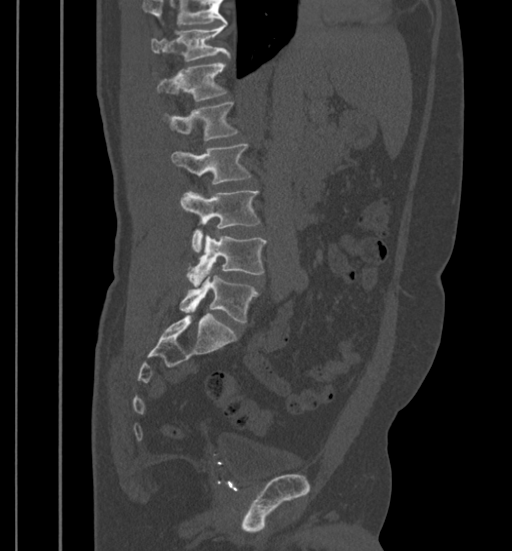

CT — sagittal view — W/L 1800/400 HU
Boxes are given in columns x1, y1, x2, y2, the pixel coordinates of their top-left and bottom-right corners.
Where the top of the scan cuts through a vertebra, that vertebra gets no label or box.
| vertebra | x1 | y1 | x2 | y2 |
|---|---|---|---|---|
| T11 | 150 | 25 | 229 | 61 |
| T12 | 156 | 63 | 226 | 102 |
| L1 | 163 | 101 | 238 | 140 |
| L2 | 171 | 144 | 252 | 184 |
| L3 | 181 | 191 | 261 | 252 |
| L4 | 187 | 234 | 266 | 286 |
| L5 | 180 | 275 | 258 | 322 |